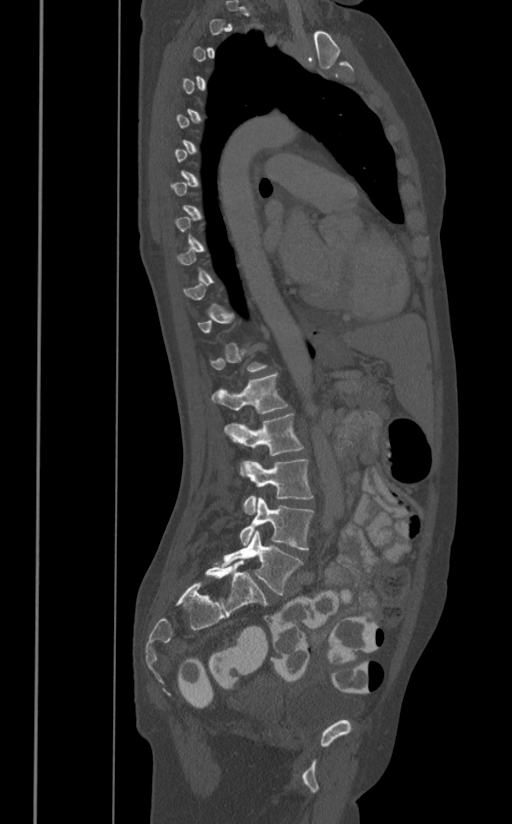
CT, spine · sagittal view · W/L 1800/400 HU
Each vertebra is boxed only on the slices from the first to the last where its cross-section reaches a third of its largest, so a slice outside that range leaves it unboxed.
<vertebrae><v name="L1" x1="211" y1="374" x2="287" y2="413"/><v name="L2" x1="224" y1="414" x2="303" y2="455"/><v name="L3" x1="240" y1="458" x2="313" y2="514"/><v name="L4" x1="239" y1="497" x2="313" y2="549"/><v name="L5" x1="220" y1="530" x2="303" y2="595"/></vertebrae>